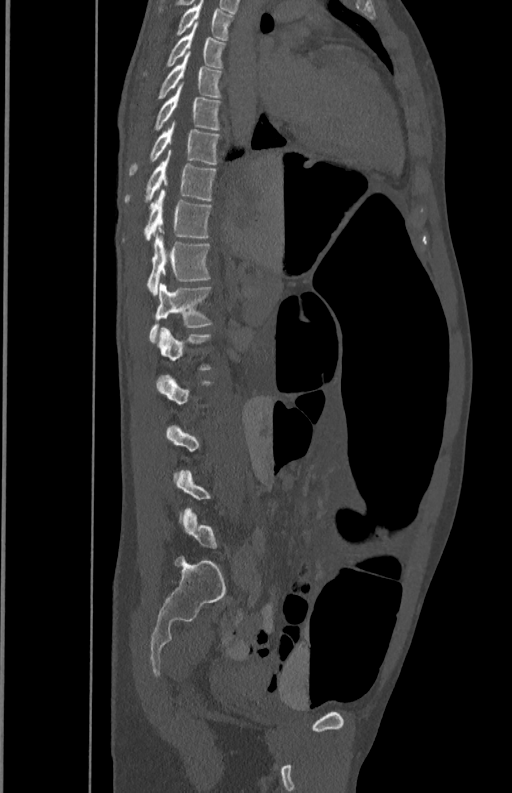

CT, spine. sagittal view. W/L 1800/400 HU. 512x793 px. 350 mm image width

Each box given as x1,y1,x2,y2. A vertebra is boxed only from the first to the last slice where its cross-section is at least a third of its largest; slices outside that range leave it without a box. 10 vertebrae labeled — T5 at x1=175, y1=1, x2=234, y2=40; T6 at x1=143, y1=25, x2=226, y2=77; T7 at x1=155, y1=53, x2=223, y2=99; T8 at x1=152, y1=84, x2=221, y2=131; T9 at x1=128, y1=124, x2=220, y2=175; T10 at x1=124, y1=150, x2=217, y2=203; T11 at x1=123, y1=190, x2=212, y2=241; T12 at x1=146, y1=234, x2=211, y2=294; L1 at x1=149, y1=282, x2=212, y2=343; L2 at x1=158, y1=328, x2=214, y2=370.